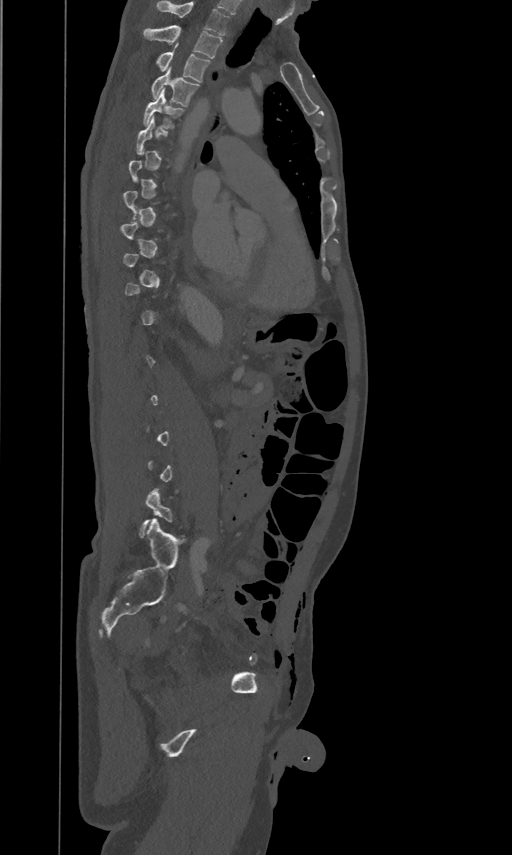 Spine CT. sagittal view. 512x855 px. image width 461 mm
Boxes are (x1, y1, x2, y2) in pixels.
A vertebra is boxed only from the first to the last slice where its cross-section is at least a third of its largest; slices outside that range leave it without a box.
This scan's labels start at T2 at the top and end at L5 at the bottom.
T5: (143, 88, 183, 128)
T4: (151, 67, 199, 107)
T3: (156, 43, 210, 82)
T2: (144, 25, 222, 58)